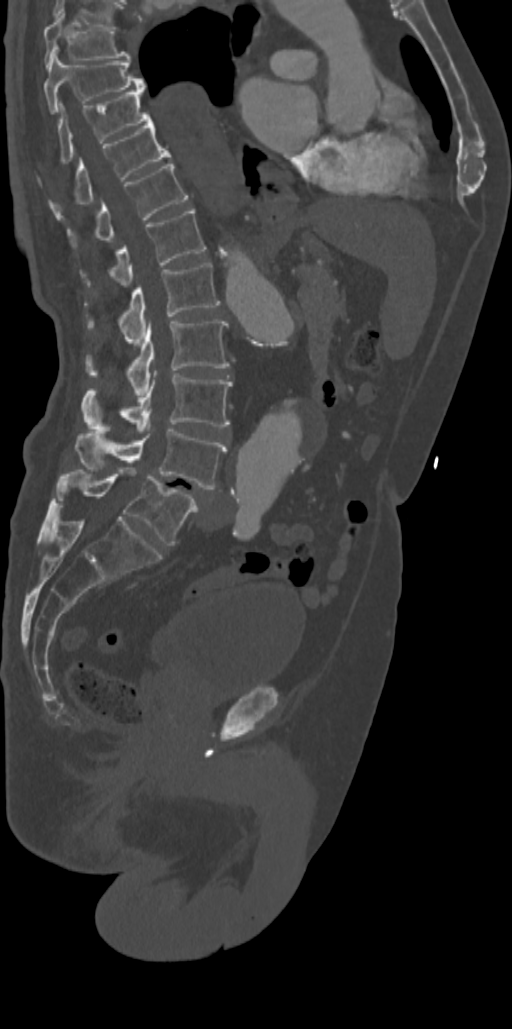

Spine computed tomography. sagittal reformat. bone-window reconstruction
In the table, x1 and y1 are a box's top-left corner and x2 and y2 its bottom-right corner, in pixels.
| vertebra | x1 | y1 | x2 | y2 |
|---|---|---|---|---|
| L5 | 57 | 467 | 198 | 545 |
| L4 | 75 | 429 | 226 | 489 |
| L3 | 84 | 371 | 232 | 433 |
| L2 | 87 | 319 | 229 | 397 |
| L1 | 88 | 263 | 219 | 345 |
| T12 | 81 | 209 | 205 | 287 |
| T11 | 67 | 162 | 187 | 246 |
| T10 | 49 | 119 | 171 | 217 |
| T9 | 58 | 90 | 150 | 163 |
| T8 | 43 | 54 | 144 | 111 |
| T7 | 43 | 13 | 129 | 66 |